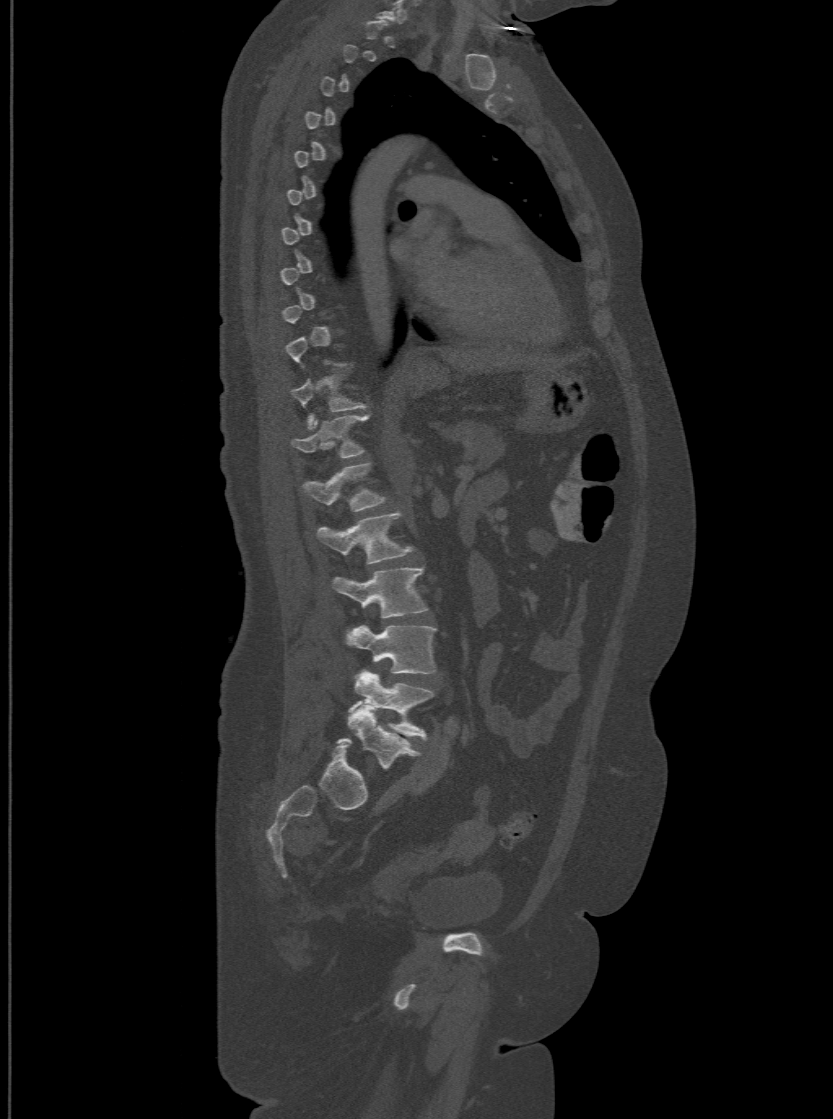 Spine CT · sagittal view · Bone window (WL 400, WW 1800)

Boxes: x1 y1 x2 y2 (pixel coords, space-separated). Each vertebra is boxed only on the slices from the first to the last where its cross-section reaches a third of its largest, so a slice outside that range leaves it unboxed. In these labels the spine has an L6, a sixth lumbar vertebra below L5. Vertebrae labeled: T11 at 291 373 365 426, T12 at 291 413 368 456, L1 at 303 462 385 511, L2 at 317 512 412 563, L3 at 332 568 427 617, L4 at 347 626 435 673, L5 at 348 669 434 738, L6 at 339 706 419 770.